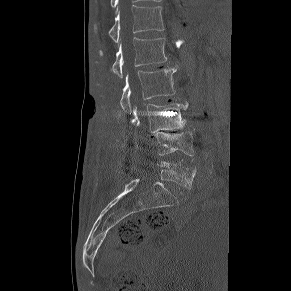
CT spine — sagittal reformat — bone window
Box edges are left/top/right/bottom in pixels.
Vertebra bounding boxes:
- T12: left=109, top=5, right=164, bottom=42
- L1: left=111, top=37, right=166, bottom=78
- L2: left=120, top=69, right=176, bottom=113
- L3: left=131, top=102, right=188, bottom=132
- L4: left=155, top=129, right=194, bottom=161
- L5: left=131, top=161, right=196, bottom=188